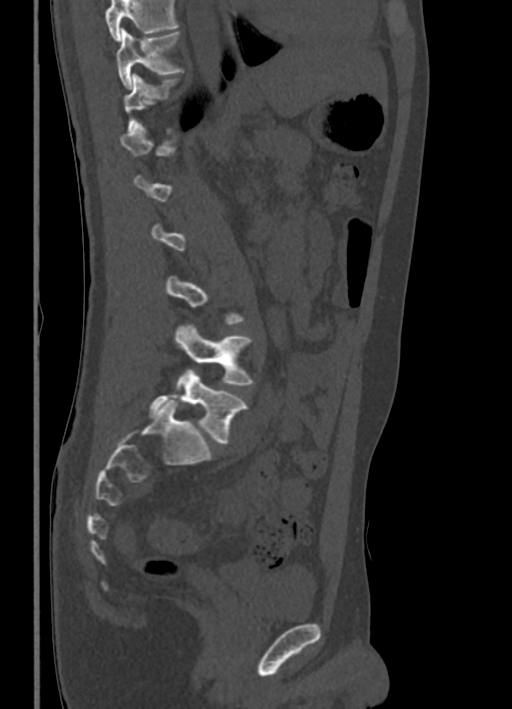 CT, spine — sagittal view — bone-window reconstruction
Each vertebra maps to its box as [x1, y1, x2, y2], the pixel coordinates of its top-left and bottom-right corners.
A vertebra gets a box only on the slices from the first to the last where its cross-section is at least a third of its largest; on a slice outside that range it gets none.
Vertebrae that run past the top of the scan are left unlabeled.
{"vertebrae":{"T10":[116,29,182,89],"T11":[123,73,177,132],"L4":[175,324,252,386],"L5":[149,368,247,444]}}